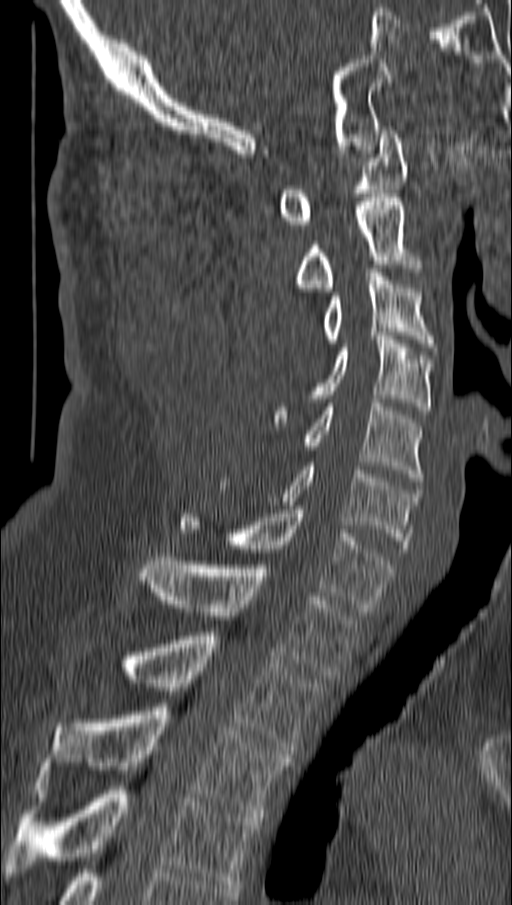

CT spine — sagittal view — image width 162 mm — bone window

Boxes below are [x1, y1, x2, y2] in pixels.
{"vertebrae":{"T4":[7,786,259,888],"T3":[39,707,291,817],"T2":[127,632,319,754],"T1":[140,557,360,679],"C7":[181,510,392,611],"C6":[282,462,417,552],"C5":[304,399,424,481],"C4":[275,332,430,426],"C3":[323,269,433,347],"C2":[298,198,408,291],"C1":[279,130,408,228]}}